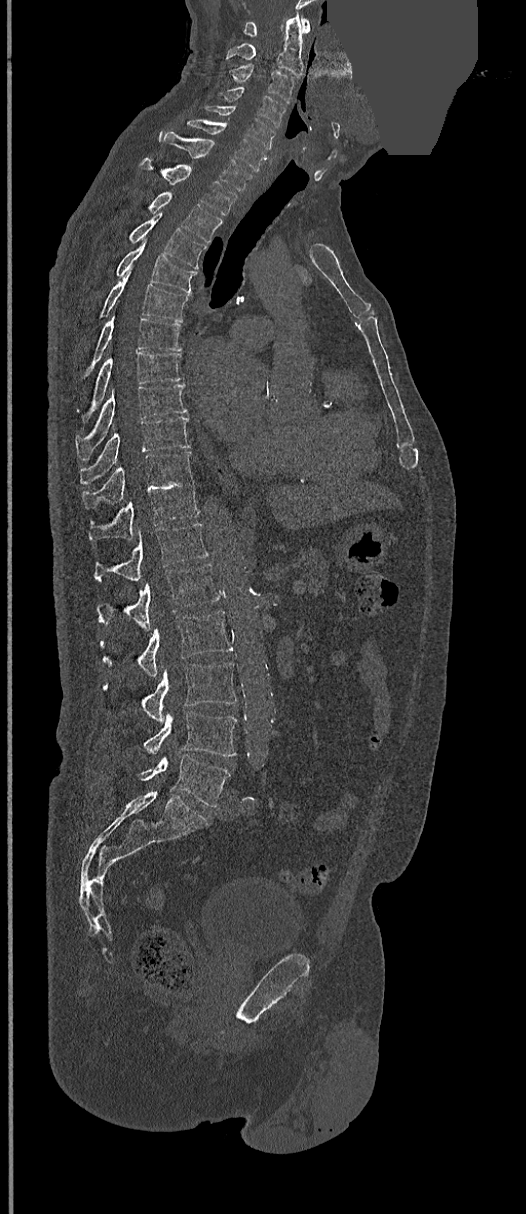 CT — sagittal view — 526x1214 px — a region of this slice is masked with a uniform fill

Bounding boxes as [x1, y1, x2, y2] in pixel coordinates. Vertebrae labeled: C1 at [244, 17, 310, 36], C2 at [226, 13, 303, 76], C3 at [229, 64, 296, 103], C4 at [220, 87, 285, 126], C5 at [205, 106, 274, 149], C6 at [186, 119, 266, 172], C7 at [159, 131, 253, 192], T1 at [140, 159, 236, 215], T2 at [148, 191, 222, 243], T3 at [128, 214, 206, 269], T4 at [115, 240, 196, 293], T5 at [100, 268, 189, 322], T6 at [84, 316, 180, 376], T7 at [82, 353, 182, 419], T8 at [77, 384, 187, 456], T9 at [80, 417, 190, 485], T10 at [82, 451, 193, 510], T11 at [88, 481, 200, 540], T12 at [94, 523, 208, 582], L1 at [97, 564, 220, 630], L2 at [100, 610, 233, 676], L3 at [140, 663, 236, 722], L4 at [143, 711, 236, 756], L5 at [139, 754, 230, 806].